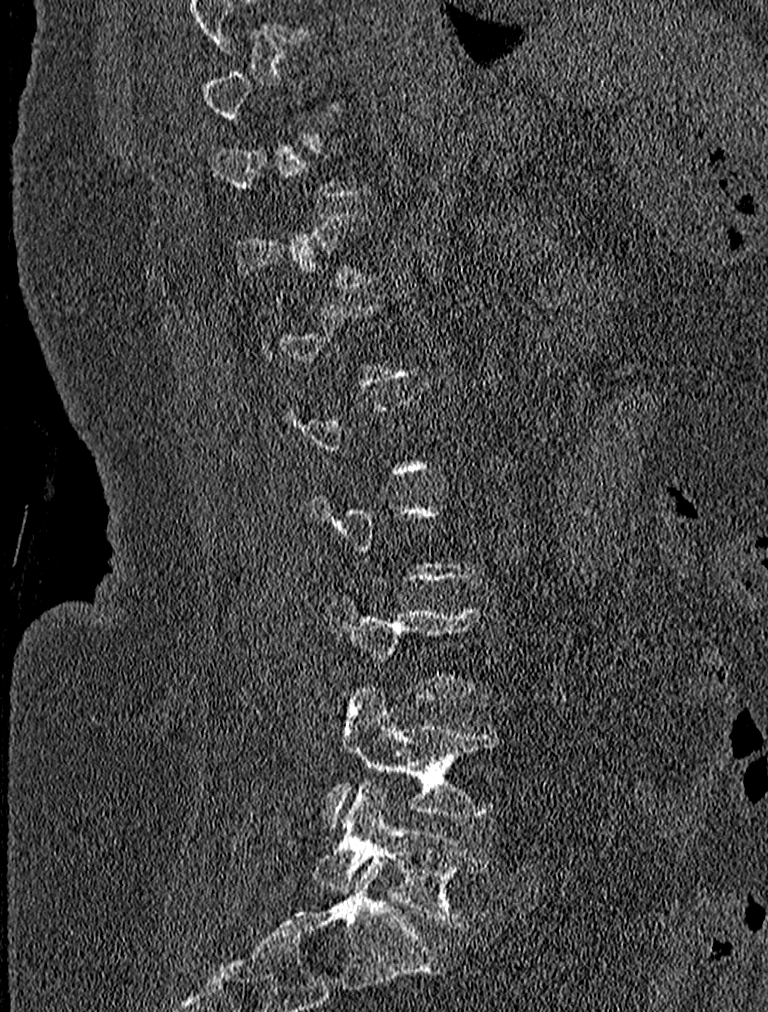

Spine CT. sagittal view. bone window
Boxes are (x1, y1, x2, y2) in pixels.
Each vertebra is boxed only on the slices from the first to the last where its cross-section reaches a third of its largest, so a slice outside that range leaves it unboxed.
L5: (313, 779, 488, 928)
L4: (324, 688, 507, 830)